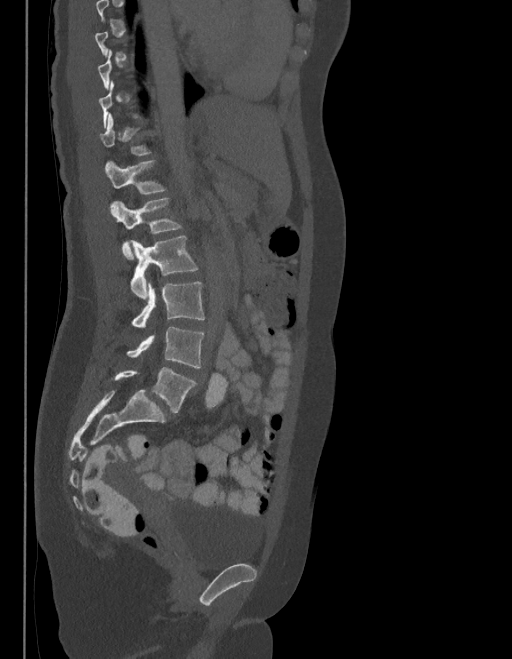
CT · sagittal view · bone-window reconstruction
A vertebra is boxed only from the first to the last slice where its cross-section is at least a third of its largest; slices outside that range leave it without a box.
These labels give the spine a sixth lumbar vertebra, L6, below L5.
<vertebrae><v name="L6" x1="114" y1="368" x2="196" y2="413"/><v name="L5" x1="127" y1="327" x2="203" y2="368"/><v name="L4" x1="132" y1="281" x2="205" y2="327"/><v name="L3" x1="131" y1="236" x2="197" y2="299"/><v name="L2" x1="112" y1="198" x2="179" y2="259"/><v name="L1" x1="105" y1="161" x2="164" y2="195"/></vertebrae>